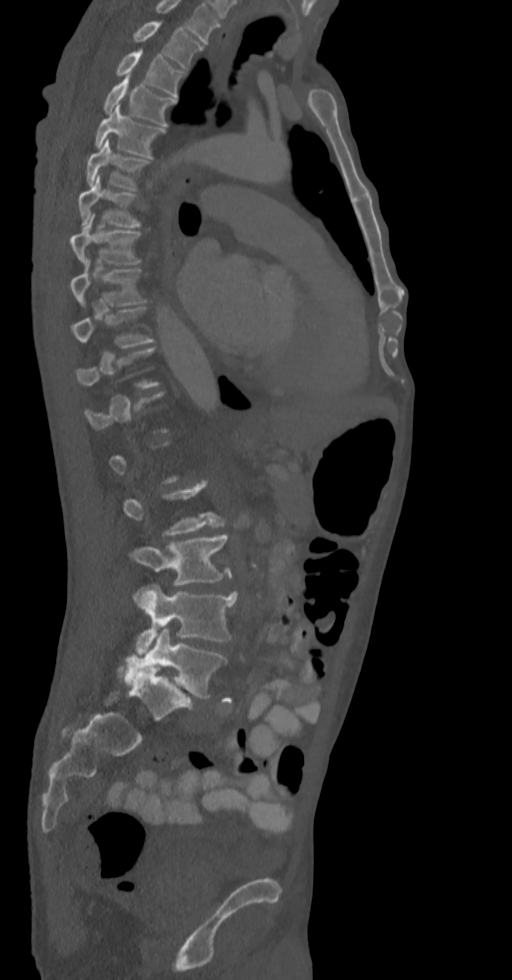

Spine CT; sagittal view; 336 mm image width; 512x980 px
Each box given as x1,y1,x2,y2.
A vertebra gets a box only on the slices from the first to the last where its cross-section is at least a third of its largest; on a slice outside that range it gets none.
In this scan, the topmost labeled vertebra is T2 and the lowest is L5.
Vertebra bounding boxes:
- T2: x1=132, y1=21, x2=203, y2=69
- T3: x1=116, y1=49, x2=183, y2=98
- T4: x1=102, y1=78, x2=177, y2=125
- T5: x1=94, y1=105, x2=165, y2=157
- T6: x1=85, y1=139, x2=150, y2=189
- T7: x1=79, y1=174, x2=140, y2=228
- T8: x1=71, y1=213, x2=142, y2=266
- T9: x1=71, y1=259, x2=145, y2=307
- T10: x1=73, y1=306, x2=154, y2=348
- L2: x1=123, y1=480, x2=226, y2=535
- L3: x1=128, y1=533, x2=232, y2=586
- L4: x1=134, y1=584, x2=236, y2=654
- L5: x1=124, y1=628, x2=227, y2=698